CT spine · sagittal reformat · W/L 1800/400 HU
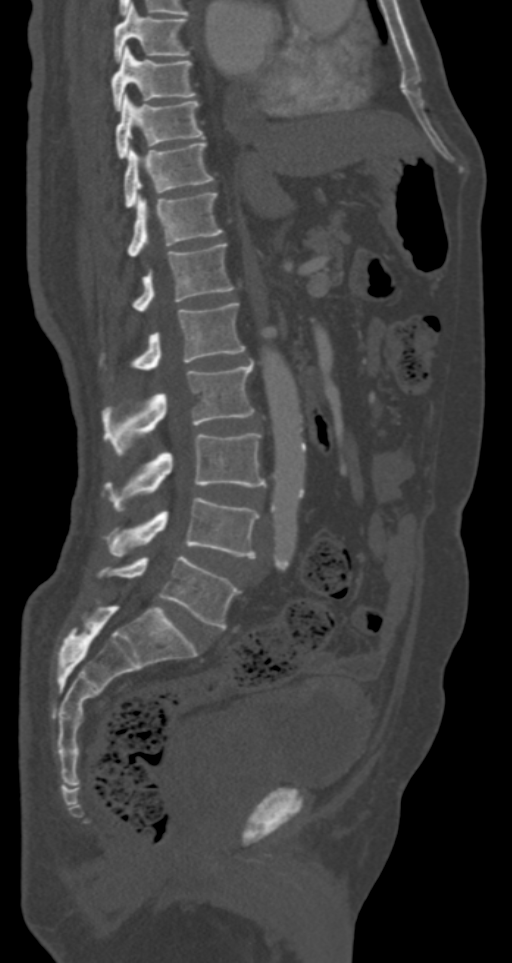

<vertebrae><v name="L5" x1="98" y1="556" x2="241" y2="628"/><v name="L4" x1="107" y1="497" x2="259" y2="557"/><v name="L3" x1="105" y1="433" x2="266" y2="511"/><v name="L2" x1="101" y1="363" x2="254" y2="455"/><v name="L1" x1="132" y1="303" x2="245" y2="370"/><v name="T12" x1="132" y1="244" x2="234" y2="311"/><v name="T11" x1="128" y1="192" x2="222" y2="255"/><v name="T10" x1="123" y1="142" x2="213" y2="208"/><v name="T9" x1="116" y1="94" x2="204" y2="159"/><v name="T8" x1="110" y1="46" x2="195" y2="111"/><v name="T7" x1="114" y1="5" x2="189" y2="61"/></vertebrae>